Spine CT · sagittal reformat · 512x943 px · scan covers 11 annotated vertebrae
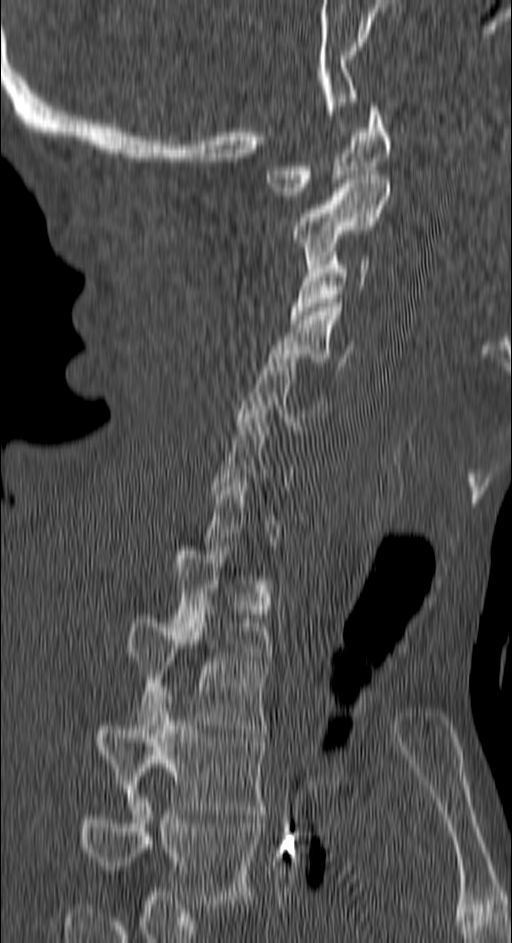
Box values are [left, top, right, bottom] in pixels.
A vertebra gets a box only on the slices from the first to the last where its cross-section is at least a third of its largest; on a slice outside that range it gets none.
{"vertebrae":{"C1":[264,102,393,200],"C2":[291,175,389,268],"C3":[290,252,369,323],"C4":[267,303,352,366],"C5":[237,354,326,430],"C7":[203,469,280,554],"T1":[172,546,270,660],"T2":[128,614,270,733],"T3":[97,691,266,814],"T4":[80,794,260,908]}}